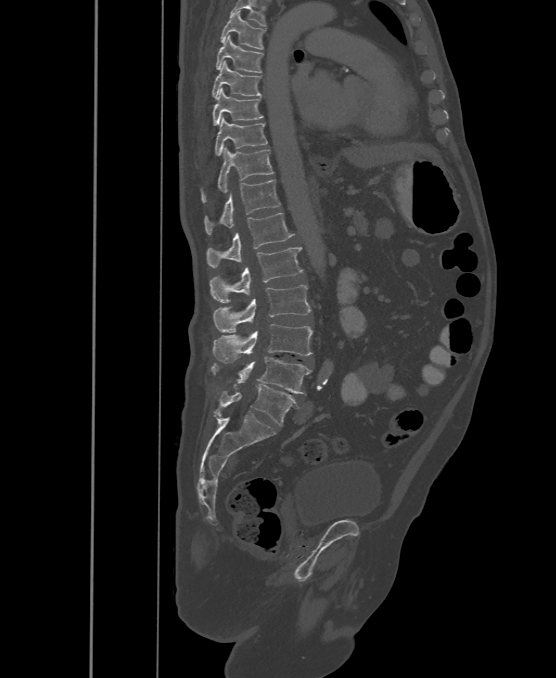

CT. sagittal view. 556x678 px
Bounding boxes as [x1, y1, x2, y2] in pixel coordinates.
These labels give the spine a sixth lumbar vertebra, L6, below L5.
Vertebra bounding boxes:
- T6: [220, 11, 265, 48]
- T7: [216, 35, 263, 73]
- T8: [212, 61, 262, 97]
- T9: [213, 88, 264, 125]
- T10: [215, 117, 267, 156]
- T11: [201, 147, 274, 202]
- T12: [204, 179, 280, 234]
- L1: [206, 213, 293, 267]
- L2: [211, 247, 303, 303]
- L3: [214, 285, 310, 332]
- L4: [213, 324, 313, 363]
- L5: [212, 357, 312, 394]
- L6: [215, 384, 298, 425]